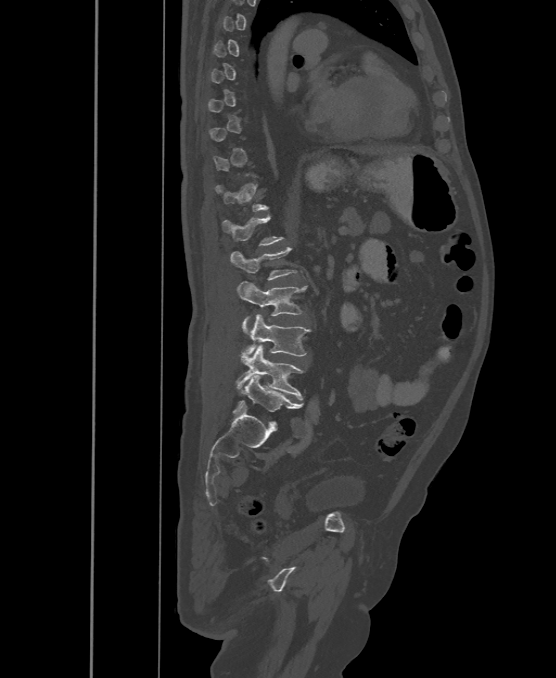

Computed tomography of the spine · sagittal view · W/L 1800/400 HU
Coordinates as <box>x1,y1,x2,y2</box>.
Not every vertebra on this slice has a box: a vertebra is boxed only from the first to the last slice where its cross-section is at least a third of its largest, and this slice is outside that range for at least one of them.
In these labels the spine has an L6, a sixth lumbar vertebra below L5.
Vertebra bounding boxes:
- T12: <box>215,183,268,211</box>
- L1: <box>222,215,282,245</box>
- L2: <box>230,247,295,279</box>
- L3: <box>237,281,306,333</box>
- L4: <box>240,314,310,364</box>
- L5: <box>235,345,304,400</box>
- L6: <box>235,375,300,412</box>